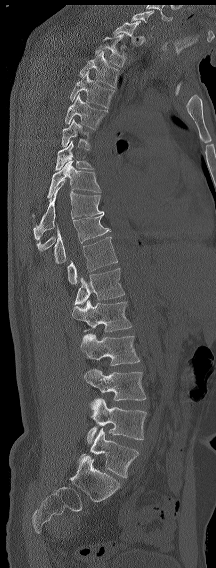
CT spine; sagittal view; bone window; 216x568 px

A vertebra gets a box only on the slices from the first to the last where its cross-section is at least a third of its largest; on a slice outside that range it gets none.
This scan's labels start at C7 at the top and end at L6 at the bottom.
In these labels the spine has an L6, a sixth lumbar vertebra below L5.
<vertebrae><v name="C7" x1="131" y1="10" x2="154" y2="28"/><v name="T1" x1="113" y1="21" x2="140" y2="42"/><v name="T2" x1="95" y1="34" x2="125" y2="67"/><v name="T3" x1="79" y1="51" x2="120" y2="88"/><v name="T4" x1="70" y1="71" x2="115" y2="108"/><v name="T5" x1="65" y1="92" x2="108" y2="129"/><v name="T6" x1="61" y1="118" x2="90" y2="149"/><v name="T7" x1="55" y1="140" x2="94" y2="170"/><v name="T8" x1="32" y1="160" x2="100" y2="217"/><v name="T9" x1="33" y1="183" x2="103" y2="239"/><v name="T11" x1="53" y1="214" x2="111" y2="263"/><v name="T12" x1="67" y1="237" x2="117" y2="284"/><v name="L1" x1="74" y1="268" x2="124" y2="304"/><v name="L2" x1="72" y1="300" x2="132" y2="332"/><v name="L3" x1="80" y1="333" x2="140" y2="365"/><v name="L4" x1="84" y1="368" x2="146" y2="405"/><v name="L5" x1="87" y1="398" x2="146" y2="444"/><v name="L6" x1="78" y1="428" x2="138" y2="478"/></vertebrae>